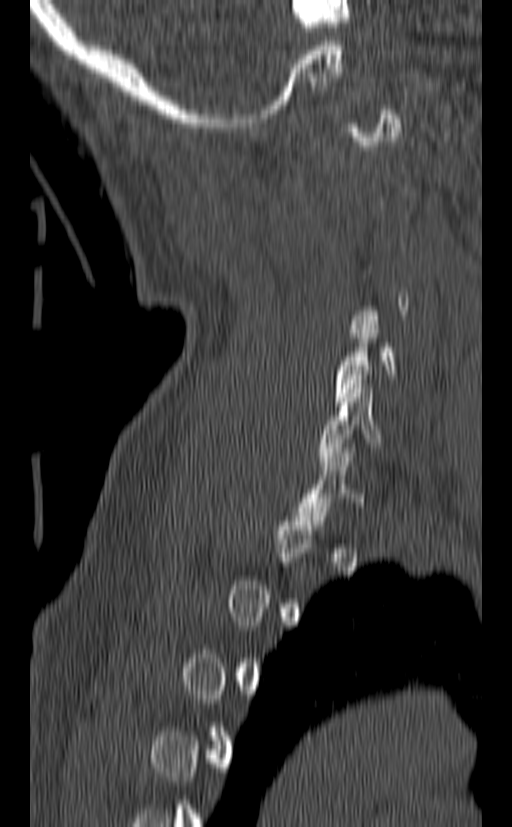

CT, spine — sagittal view — 512x827 px. Each box given as x1,y1,x2,y2.
A vertebra is boxed only from the first to the last slice where its cross-section is at least a third of its largest; slices outside that range leave it without a box.
Vertebra bounding boxes:
- C5: x1=334, y1=325, x2=395, y2=406
- C6: x1=320, y1=384, x2=383, y2=465